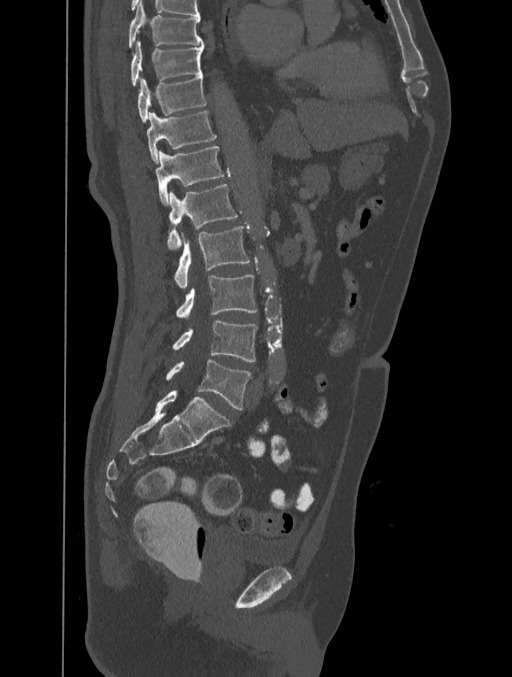 CT. sagittal view. bone-window reconstruction
Each vertebra maps to its box as [x1, y1, x2, y2], the pixel coordinates of its top-left and bottom-right corners.
{"vertebrae":{"T8":[129,1,203,47],"T9":[130,40,204,86],"T10":[138,75,207,122],"T11":[147,110,216,162],"T12":[156,146,225,205],"L1":[167,184,238,250],"L2":[174,226,250,287],"L3":[176,275,257,317],"L4":[172,321,257,362],"L5":[166,359,250,409]}}